CT spine. sagittal reformat. 512x1010 px. scan covers 12 annotated vertebrae. 140 mm wide
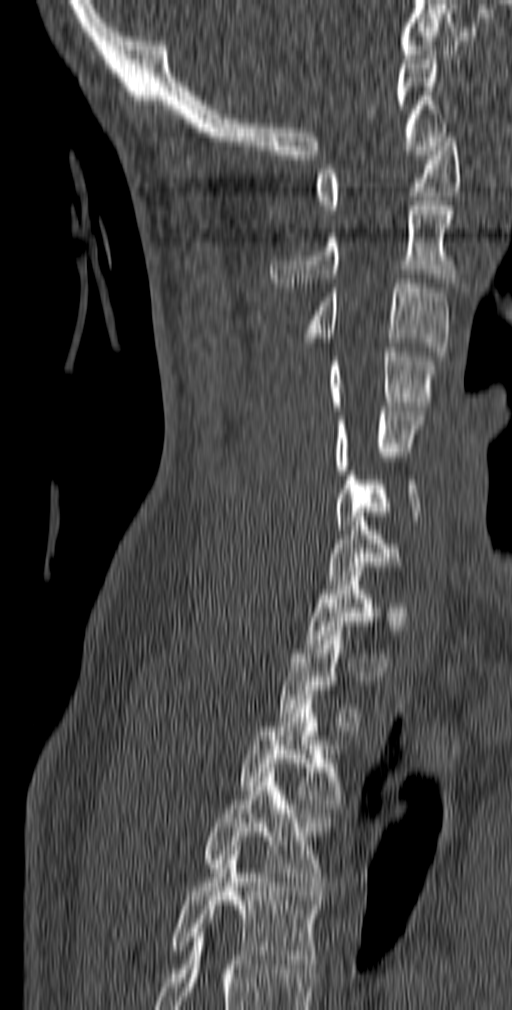 Coordinates as <box>x1,y1,x2,y2</box>. A vertebra gets a box only on the slices from the first to the last where its cross-section is at least a third of its largest; on a slice outside that range it gets none. The labeled vertebrae in this slice are: C1 at <box>316,128,461,214</box>, C2 at <box>270,201,457,287</box>, C3 at <box>303,279,450,356</box>, C4 at <box>327,347,436,410</box>, C5 at <box>334,407,425,474</box>, C6 at <box>334,466,419,529</box>, C7 at <box>326,512,403,584</box>, T2 at <box>278,631,364,730</box>, T3 at <box>239,695,344,808</box>, T4 at <box>202,773,331,890</box>, T5 at <box>170,850,322,973</box>.